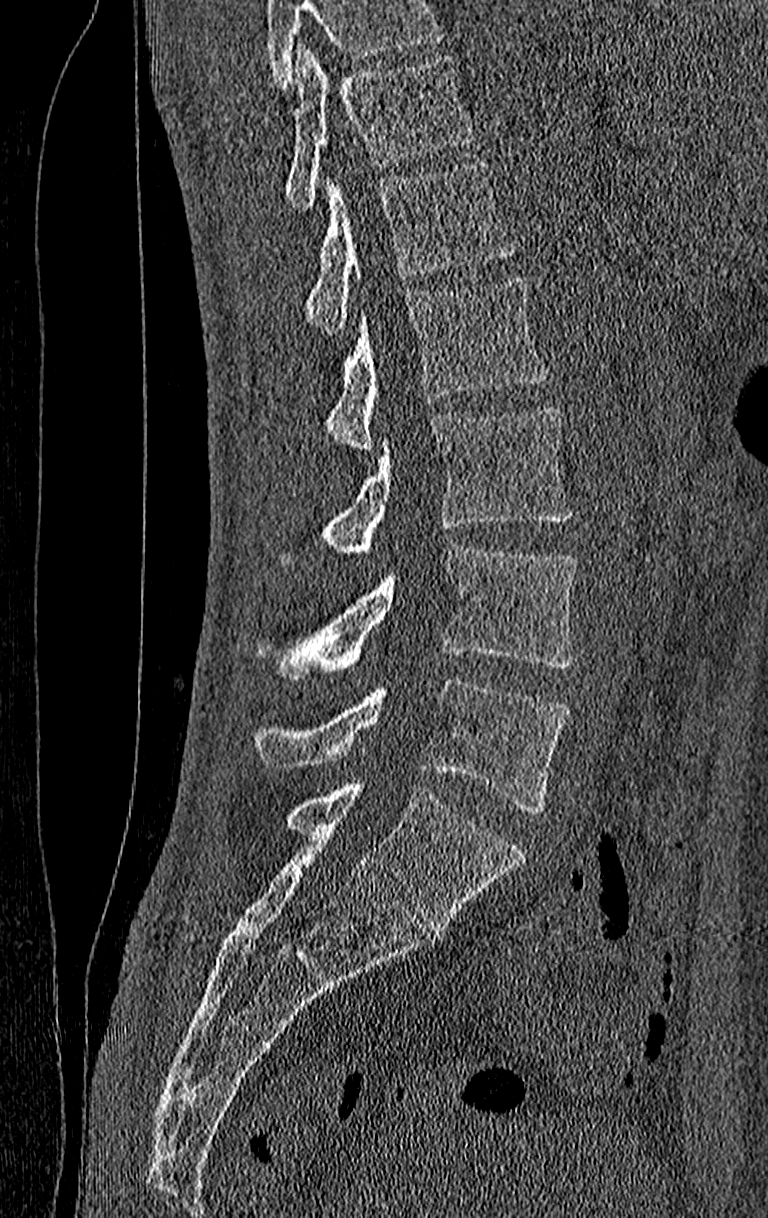

CT, spine — sagittal view — bone-window reconstruction — 768x1218 px
In the table, x1 and y1 are a box's top-left corner and x2 and y2 its bottom-right corner, in pixels.
A vertebra cut off by the top edge of the scan is not labeled and has no box.
The highest labeled vertebra in this scan is T11; the lowest is L4.
| vertebra | x1 | y1 | x2 | y2 |
|---|---|---|---|---|
| L4 | 255 | 678 | 568 | 812 |
| L3 | 284 | 546 | 575 | 680 |
| L2 | 324 | 406 | 572 | 560 |
| L1 | 328 | 275 | 546 | 453 |
| T12 | 306 | 161 | 517 | 333 |
| T11 | 284 | 44 | 473 | 208 |